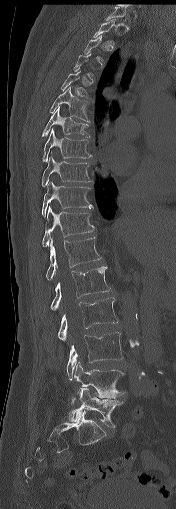

CT. sagittal view. W/L 1800/400 HU. 176 mm wide
Box values are [left, top, right, bottom] in pixels.
A vertebra is boxed only from the first to the last slice where its cross-section is at least a third of its largest; slices outside that range leave it without a box.
{"vertebrae":{"T1":[106,6,126,21],"T2":[93,18,116,44],"T5":[61,70,87,96],"T6":[49,87,90,122],"T7":[42,106,90,137],"T8":[42,128,92,162],"T9":[42,153,90,186],"T10":[42,181,93,217],"T11":[42,206,94,246],"T12":[46,237,101,280],"L1":[50,266,110,310],"L2":[58,297,117,341],"L3":[66,332,122,381],"L4":[71,362,125,405],"L5":[69,388,122,427]}}